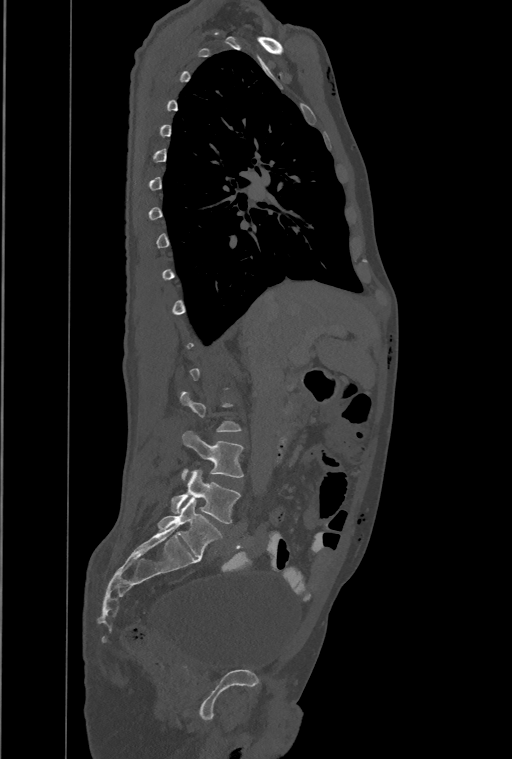 CT spine. the image is 461 mm wide. sagittal reformat
Boxes: x1 y1 x2 y2 (pixel coords, space-separated).
A vertebra is boxed only from the first to the last slice where its cross-section is at least a third of its largest; slices outside that range leave it without a box.
In this scan, the topmost labeled vertebra is T1 and the lowest is L4.
L4: 172 470 241 524
L3: 182 431 243 479